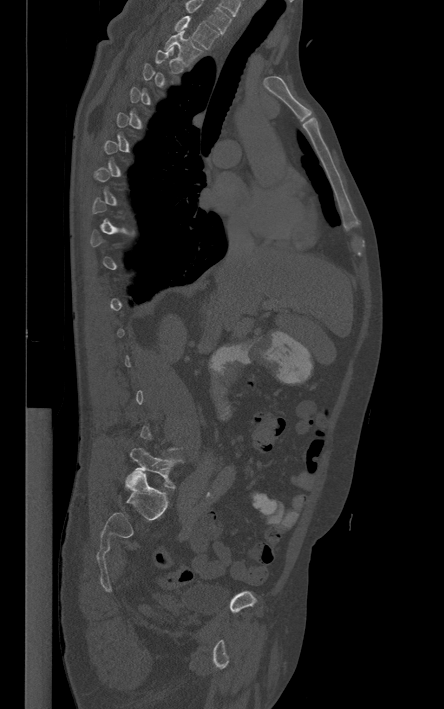

CT spine. sagittal view. Boxes: x1:y1:x2:y2 in pixels.
A vertebra is boxed only from the first to the last slice where its cross-section is at least a third of its largest; slices outside that range leave it without a box.
This scan's labels start at T1 at the top and end at L5 at the bottom.
Vertebra bounding boxes:
- T1: 176:16:218:49
- T2: 163:30:202:65
- L5: 130:448:179:488